Computed tomography of the spine · image 183 mm wide · sagittal view · bone-window reconstruction
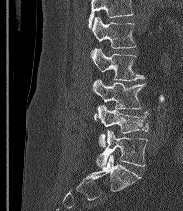 Boxes: x1:y1:x2:y2 in pixels.
Vertebrae that run past the top of the scan are left unlabeled.
These labels give the spine a sixth lumbar vertebra, L6, below L5.
L6: 96:130:147:167
L5: 96:105:149:147
L4: 92:79:145:119
L3: 91:48:144:81
L2: 92:17:136:48